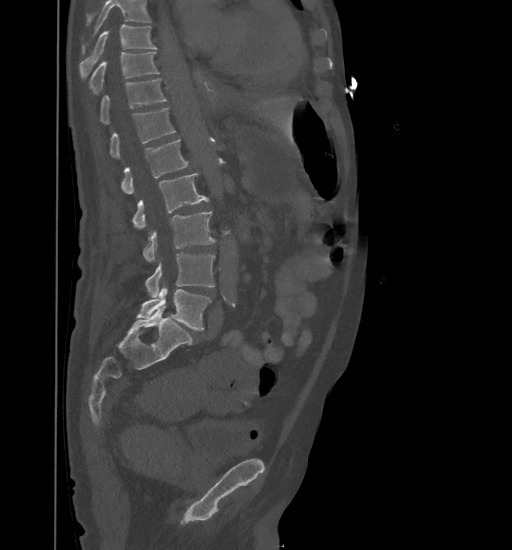 Computed tomography of the spine · sagittal view · bone window · 512x550 px
Each box is [x1, y1, x2, y2] in pixels: top-left corner, then bottom-right corner.
No box is given to a vertebra that the top edge of the scan cuts off.
{"vertebrae":{"T9":[79,25,157,78],"T10":[89,52,159,94],"T11":[100,78,167,124],"T12":[110,107,175,158],"L1":[121,139,188,193],"L2":[133,172,208,228],"L3":[144,211,215,261],"L4":[145,252,215,297],"L5":[136,287,211,330]}}